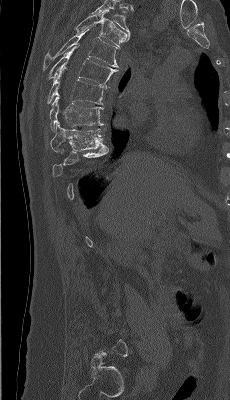 CT spine · sagittal view · 230x400 px
Columns x1, y1, x2, y2 give each box's top-left and bottom-right pixels.
A vertebra gets a box only on the slices from the first to the last where its cross-section is at least a third of its largest; on a slice outside that range it gets none.
This scan's labels start at T4 at the top and end at L5 at the bottom.
| vertebra | x1 | y1 | x2 | y2 |
|---|---|---|---|---|
| T4 | 75 | 10 | 129 | 47 |
| T5 | 42 | 26 | 119 | 73 |
| T6 | 48 | 43 | 118 | 88 |
| T7 | 47 | 67 | 105 | 104 |
| T8 | 50 | 93 | 103 | 131 |
| T9 | 50 | 121 | 104 | 152 |